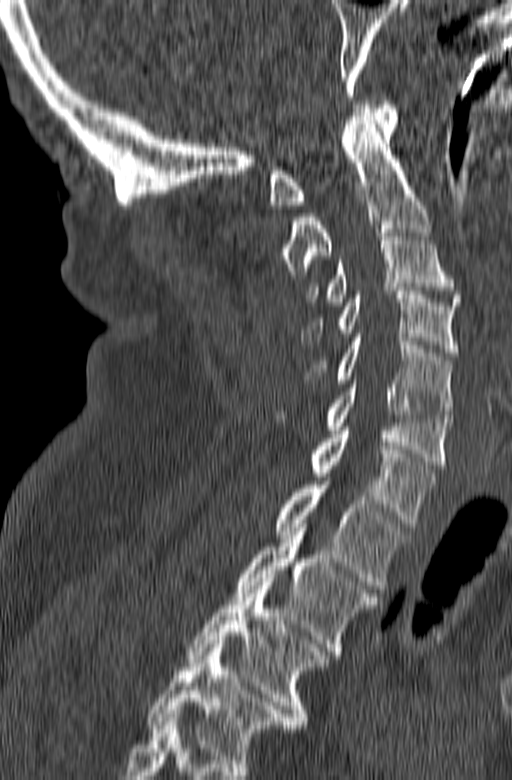

Spine computed tomography · sagittal view · W/L 1800/400 HU
Bounding boxes as [x1, y1, x2, y2] in pixel coordinates.
This scan's labels start at C1 at the top and end at T3 at the bottom.
T3: [186, 578, 329, 728]
T2: [234, 524, 377, 658]
T1: [274, 481, 408, 592]
C7: [308, 427, 434, 527]
C6: [324, 380, 451, 468]
C5: [303, 334, 453, 418]
C4: [301, 287, 459, 356]
C3: [305, 229, 461, 305]
C2: [277, 116, 431, 278]
C1: [268, 101, 397, 208]